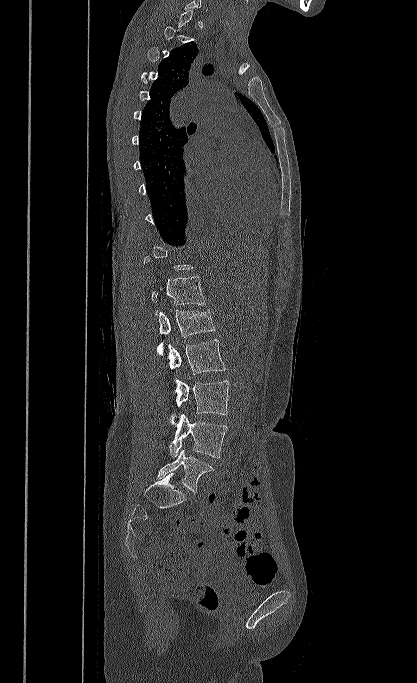

Spine computed tomography · image width 417 mm · sagittal view · bone window

Each box given as x1,y1,x2,y2.
A vertebra is boxed only from the first to the last slice where its cross-section is at least a third of its largest; slices outside that range leave it without a box.
Vertebra bounding boxes:
- T12: x1=151, y1=277, x2=205, y2=315
- L1: x1=157, y1=309, x2=215, y2=356
- L2: x1=168, y1=339, x2=226, y2=374
- L3: x1=175, y1=380, x2=229, y2=415
- L4: x1=169, y1=413, x2=227, y2=458
- L5: x1=157, y1=449, x2=214, y2=492